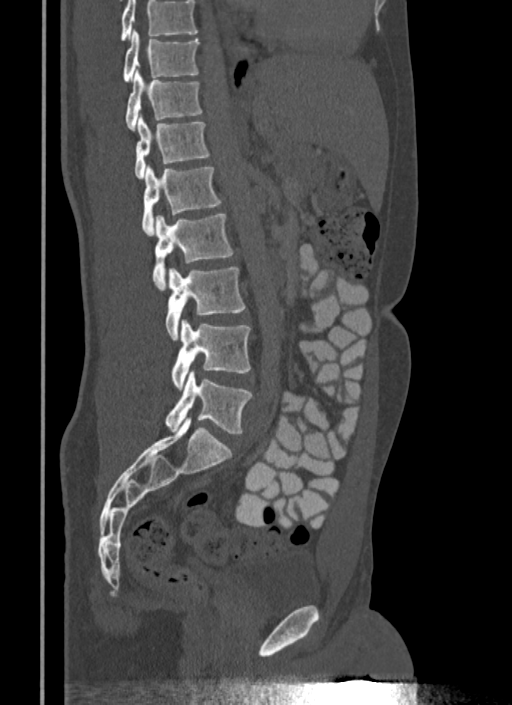 Spine computed tomography — sagittal reformat
Each row gives a vertebra's box as x1, y1, x2, y2 in pixels: top-left corner, then bottom-right corner.
No box is given to a vertebra that the top edge of the scan cuts off.
| vertebra | x1 | y1 | x2 | y2 |
|---|---|---|---|---|
| T10 | 123 | 30 | 199 | 82 |
| T11 | 125 | 69 | 202 | 130 |
| T12 | 134 | 114 | 210 | 178 |
| L1 | 141 | 166 | 222 | 235 |
| L2 | 153 | 214 | 234 | 290 |
| L3 | 165 | 267 | 246 | 339 |
| L4 | 171 | 319 | 250 | 389 |
| L5 | 165 | 370 | 252 | 434 |